CT spine — Sagittal slice 231/512 — bone window
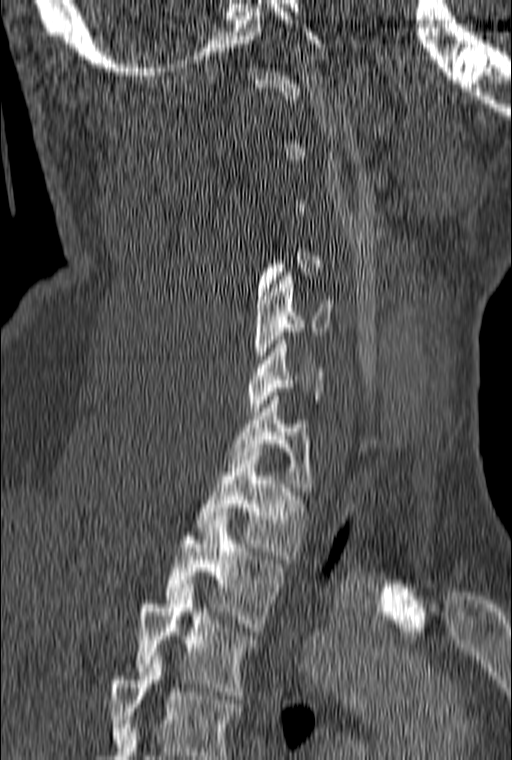
Boxes are (x1, y1, x2, y2) in pixels.
A vertebra is boxed only from the first to the last slice where its cross-section is at least a third of its largest; slices outside that range leave it without a box.
The highest labeled vertebra in this scan is C1; the lowest is T3.
Vertebra bounding boxes:
- T3: (136, 588, 256, 699)
- T2: (164, 520, 282, 631)
- T1: (195, 448, 305, 559)
- C7: (227, 396, 311, 491)
- C6: (248, 336, 323, 411)
- C5: (254, 272, 333, 367)